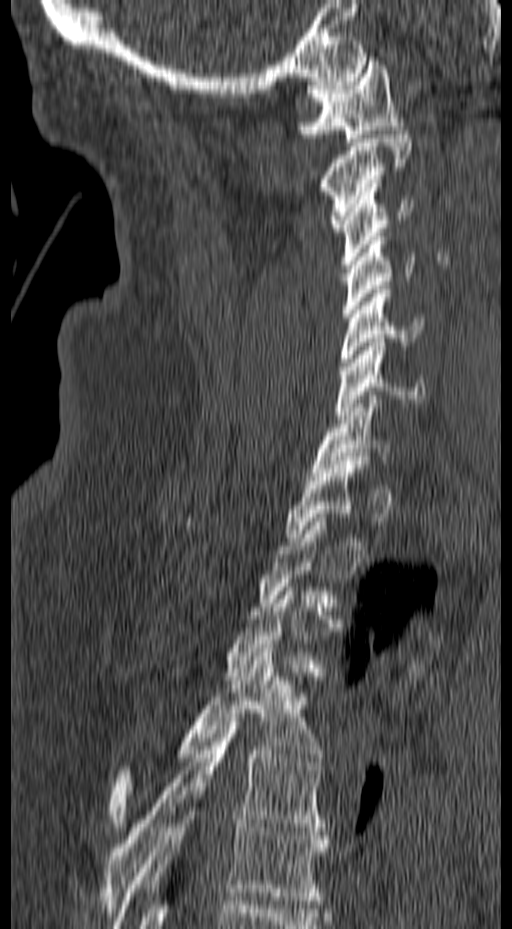 Computed tomography of the spine. sagittal view. Bone window (WL 400, WW 1800). 512x929 px

Boxes: x1:y1:x2:y2 in pixels.
A vertebra gets a box only on the slices from the first to the last where its cross-section is at least a third of its largest; on a slice outside that range it gets none.
Vertebra bounding boxes:
- C1: 296:57:402:142
- C2: 317:130:411:231
- C3: 339:183:414:268
- C4: 343:232:416:317
- C5: 339:285:423:370
- C6: 334:338:424:419
- C7: 311:391:392:476
- T1: 285:457:369:541
- T4: 110:648:323:827
- T5: 102:717:326:916
- T6: 112:787:330:928